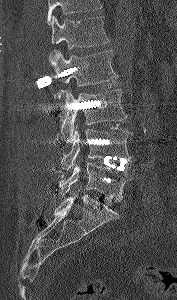
CT spine — sagittal view — W/L 1800/400 HU — 177x300 px — 177 mm image width
Boxes are given in columns x1, y1, x2, y2, the pixel coordinates of their top-left and bottom-right corners.
Vertebrae that run past the top of the scan are left unlabeled.
| vertebra | x1 | y1 | x2 | y2 |
|---|---|---|---|---|
| L1 | 51 | 15 | 109 | 49 |
| L2 | 49 | 50 | 118 | 92 |
| L3 | 56 | 89 | 127 | 143 |
| L4 | 61 | 125 | 132 | 171 |
| L5 | 59 | 162 | 134 | 202 |